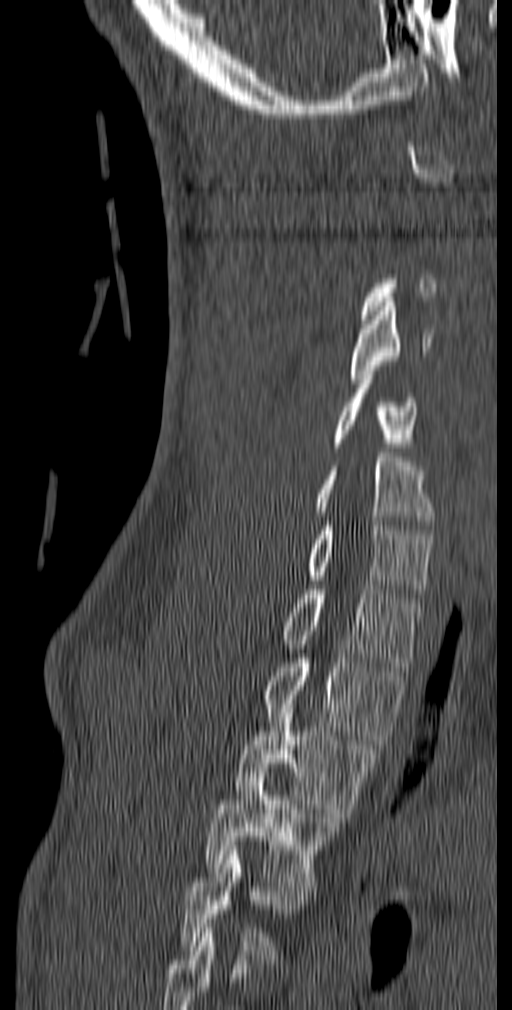 CT spine; sagittal reformat; Bone window (WL 400, WW 1800)
Columns x1, y1, x2, y2 give each box's top-left and bottom-right pixels.
A vertebra is boxed only from the first to the last slice where its cross-section is at least a third of its largest; slices outside that range leave it without a box.
This scan's labels start at C1 at the top and end at T5 at the bottom.
| vertebra | x1 | y1 | x2 | y2 |
|---|---|---|---|---|
| T5 | 179 | 846 | 310 | 964 |
| T4 | 206 | 773 | 340 | 890 |
| T3 | 235 | 704 | 379 | 822 |
| T2 | 264 | 654 | 407 | 744 |
| T1 | 283 | 585 | 425 | 671 |
| C7 | 308 | 521 | 432 | 598 |
| C6 | 315 | 453 | 436 | 525 |
| C5 | 334 | 370 | 417 | 456 |
| C4 | 349 | 302 | 433 | 383 |